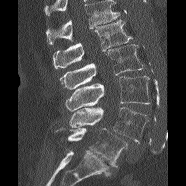
CT spine — sagittal view — W/L 1800/400 HU — 186x186 px

Columns x1, y1, x2, y2 give each box's top-left and bottom-right pixels.
Where the top of the scan cuts through a vertebra, that vertebra gets no label or box.
| vertebra | x1 | y1 | x2 | y2 |
|---|---|---|---|---|
| L1 | 53 | 20 | 132 | 67 |
| L2 | 60 | 44 | 143 | 89 |
| L3 | 65 | 75 | 150 | 111 |
| L4 | 69 | 107 | 148 | 143 |
| L5 | 55 | 128 | 127 | 166 |